Computed tomography of the spine. 403 mm wide. sagittal view. bone-window reconstruction. 512x659 px
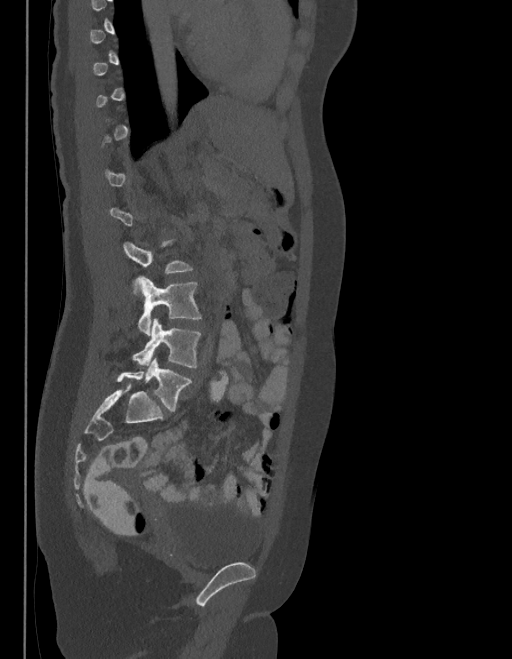
A vertebra is boxed only from the first to the last slice where its cross-section is at least a third of its largest; slices outside that range leave it without a box.
These labels give the spine a sixth lumbar vertebra, L6, below L5.
<vertebrae><v name="L3" x1="123" y1="239" x2="192" y2="294"/><v name="L4" x1="137" y1="277" x2="201" y2="335"/><v name="L5" x1="132" y1="318" x2="201" y2="367"/><v name="L6" x1="117" y1="359" x2="192" y2="412"/></vertebrae>